CT spine — Sagittal slice 263/512
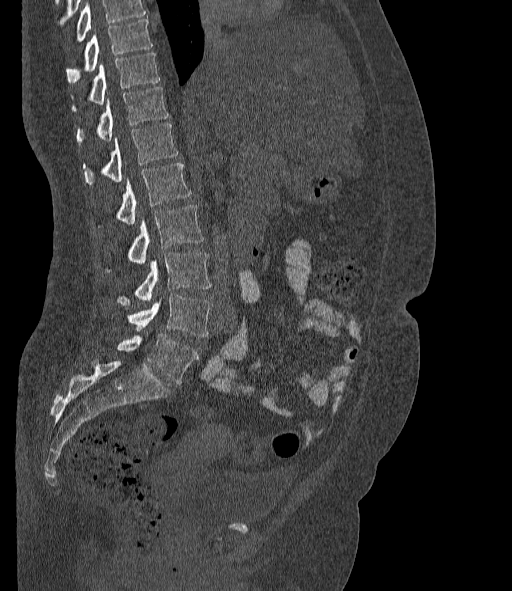 Box values are [left, top, right, bottom] in pixels.
Where the top of the scan cuts through a vertebra, that vertebra gets no label or box.
These labels give the spine a sixth lumbar vertebra, L6, below L5.
{"vertebrae":{"T10":[66,19,152,83],"T11":[73,53,159,109],"T12":[77,87,169,143],"L1":[83,124,177,184],"L2":[117,163,190,224],"L3":[129,205,203,264],"L4":[117,253,211,305],"L5":[129,295,212,337],"L6":[117,333,198,383]}}